CT — sagittal plane, index 339 — bone-window reconstruction — 512x963 px
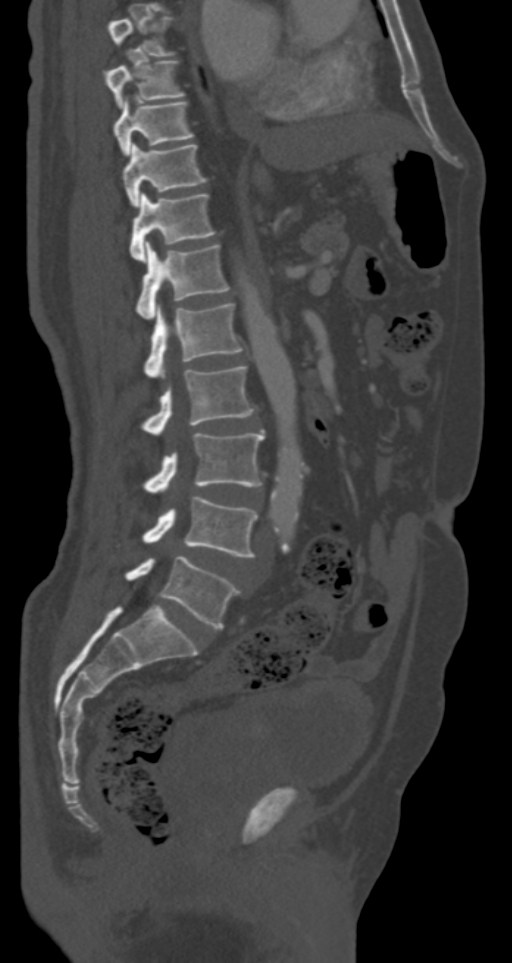

Boxes are (x1, y1, x2, y2) in pixels. 11 vertebrae labeled — T7 at (108, 17, 177, 55); T8 at (107, 60, 186, 108); T9 at (114, 96, 195, 155); T10 at (123, 142, 207, 208); T11 at (130, 192, 216, 261); T12 at (135, 242, 231, 317); L1 at (144, 303, 243, 377); L2 at (141, 366, 254, 434); L3 at (142, 431, 264, 491); L4 at (142, 497, 257, 557); L5 at (124, 556, 239, 628).